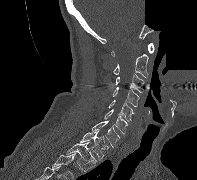 Computed tomography of the spine — sagittal view — bone window — part of the image is constant black where the scan was masked
<vertebrae><v name="C1" x1="111" y1="43" x2="154" y2="56"/><v name="C2" x1="113" y1="54" x2="148" y2="78"/><v name="C3" x1="116" y1="73" x2="144" y2="93"/><v name="C4" x1="112" y1="87" x2="139" y2="107"/><v name="C5" x1="108" y1="100" x2="134" y2="121"/><v name="C6" x1="103" y1="109" x2="127" y2="133"/><v name="C7" x1="92" y1="120" x2="119" y2="147"/><v name="T1" x1="80" y1="129" x2="108" y2="159"/><v name="T2" x1="66" y1="142" x2="96" y2="171"/></vertebrae>